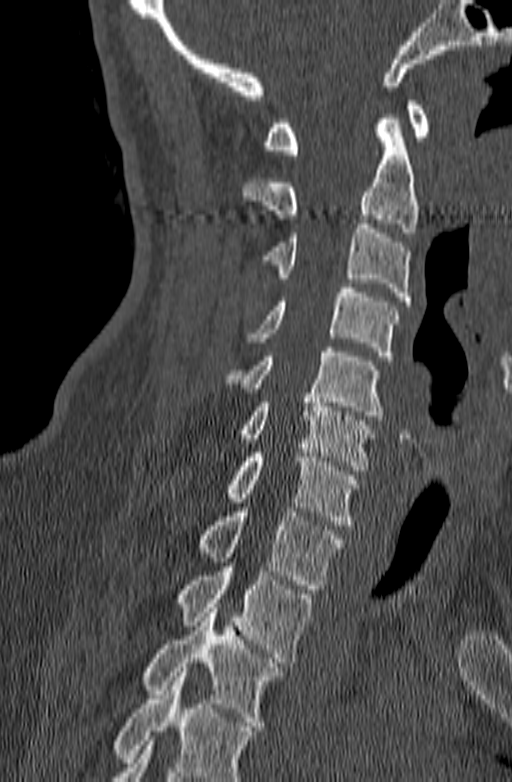
Computed tomography of the spine; sagittal reformat; 512x782 px; 140 mm across the image
Boxes: x1:y1:x2:y2 in pixels. A vertebra cut off by the bottom edge of the scan is not labeled and has no box. The labeled vertebrae in this slice are: C1 at 263:101:429:154, C2 at 241:114:419:237, C3 at 259:219:410:305, C4 at 246:283:399:360, C5 at 224:347:384:420, C6 at 235:393:374:470, C7 at 224:453:359:525, T1 at 195:507:344:589, T2 at 173:562:313:662, T3 at 142:608:283:726.